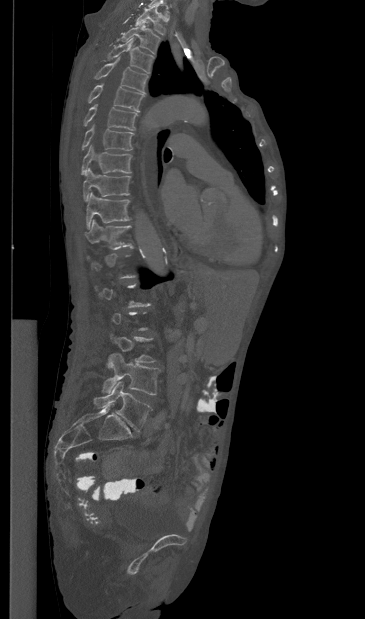
Spine computed tomography. sagittal view
Bounding boxes as [x1, y1, x2, y2] in pixel coordinates. A vertebra is boxed only from the first to the last slice where its cross-section is at least a third of its largest; slices outside that range leave it without a box. Vertebrae labeled: T1 at [135, 5, 165, 35], T2 at [120, 24, 160, 53], T3 at [107, 38, 153, 72], T4 at [94, 57, 148, 92], T5 at [88, 84, 144, 111], T6 at [84, 104, 137, 130], T7 at [82, 125, 133, 150], T8 at [81, 145, 131, 174], T9 at [83, 168, 130, 201], T10 at [86, 192, 130, 229], T11 at [85, 220, 131, 249], L4 at [102, 353, 159, 395], L5 at [93, 381, 151, 431].